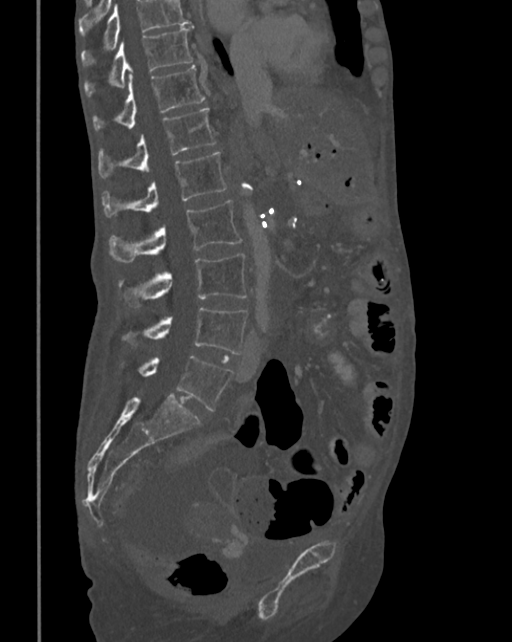 Spine computed tomography. sagittal reformat. bone window. 512x642 px. Box edges are left/top/right/bottom in pixels.
No box is given to a vertebra that the top edge of the scan cuts off.
| vertebra | x1 | y1 | x2 | y2 |
|---|---|---|---|---|
| T10 | 84 | 25 | 194 | 96 |
| T11 | 93 | 65 | 205 | 131 |
| T12 | 99 | 108 | 216 | 177 |
| L1 | 102 | 152 | 226 | 217 |
| L2 | 108 | 199 | 241 | 261 |
| L3 | 118 | 254 | 247 | 308 |
| L4 | 121 | 307 | 247 | 354 |
| L5 | 137 | 355 | 232 | 411 |